CT spine — sagittal plane, index 227 — Bone window (WL 400, WW 1800) — 512x677 px — scan covers 10 annotated vertebrae
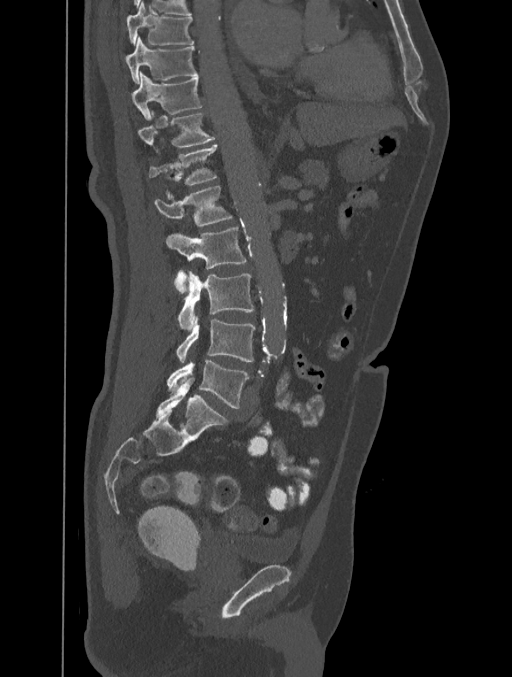 Each box given as x1,y1,x2,y2.
Vertebra bounding boxes:
- L5: x1=167, y1=360, x2=249, y2=408
- L4: x1=176, y1=317, x2=255, y2=362
- L3: x1=177, y1=271, x2=254, y2=329
- L2: x1=166, y1=226, x2=247, y2=294
- L1: x1=154, y1=185, x2=233, y2=227
- T12: x1=149, y1=145, x2=217, y2=198
- T11: x1=138, y1=111, x2=216, y2=155
- T10: x1=133, y1=72, x2=202, y2=121
- T9: x1=126, y1=37, x2=198, y2=83
- T8: x1=126, y1=2, x2=194, y2=44